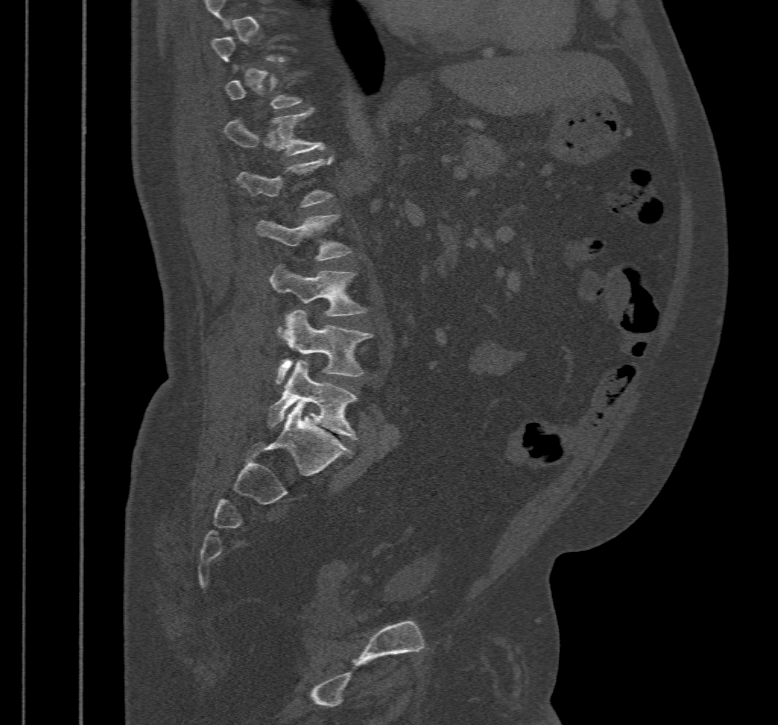

CT spine · sagittal view · 778x725 px
A vertebra is boxed only from the first to the last slice where its cross-section is at least a third of its largest; slices outside that range leave it without a box.
<vertebrae><v name="T12" x1="223" y1="109" x2="324" y2="155"/><v name="L1" x1="237" y1="157" x2="332" y2="206"/><v name="L2" x1="257" y1="214" x2="350" y2="259"/><v name="L3" x1="271" y1="265" x2="365" y2="333"/><v name="L4" x1="277" y1="310" x2="373" y2="383"/><v name="L5" x1="266" y1="360" x2="358" y2="439"/></vertebrae>